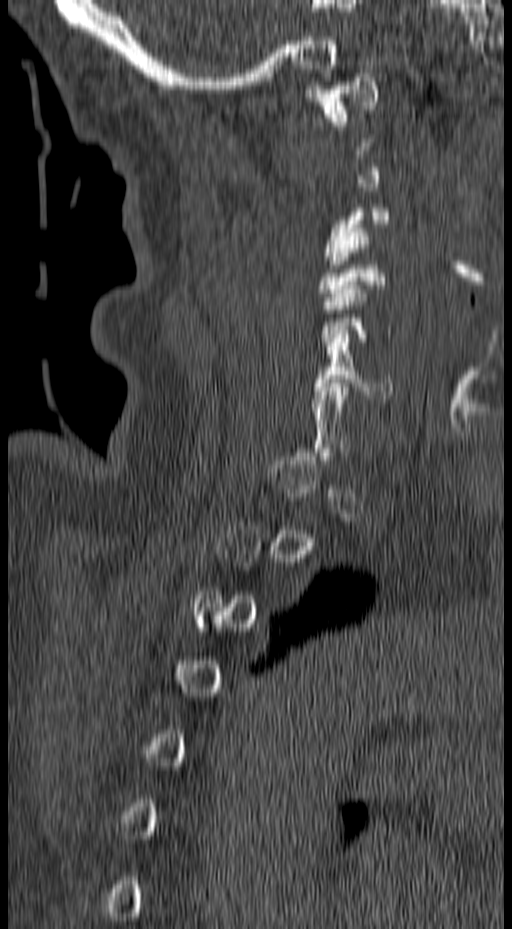

Spine CT. sagittal view. 157 mm image width
Boxes: x1:y1:x2:y2 in pixels.
A vertebra gets a box only on the slices from the first to the last where its cross-section is at least a third of its largest; on a slice outside that range it gets none.
C6: 312:334:392:398
C4: 318:228:385:301
C3: 325:204:391:264
C1: 303:73:378:125